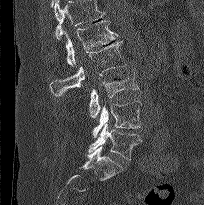

CT; sagittal view; bone-window reconstruction; 204x205 px
Each box given as x1,y1,x2,y2. A vertebra cut off by the top edge of the scan is not labeled and has no box. Vertebrae labeled: L1 at x1=64, y1=20, x2=119, y2=66, L2 at x1=50, y1=40, x2=125, y2=97, L3 at x1=88, y1=69, x2=138, y2=118, L4 at x1=91, y1=101, x2=141, y2=138, L5 at x1=88, y1=122, x2=142, y2=160.